CT; Sagittal slice 206/512; scan covers 13 annotated vertebrae
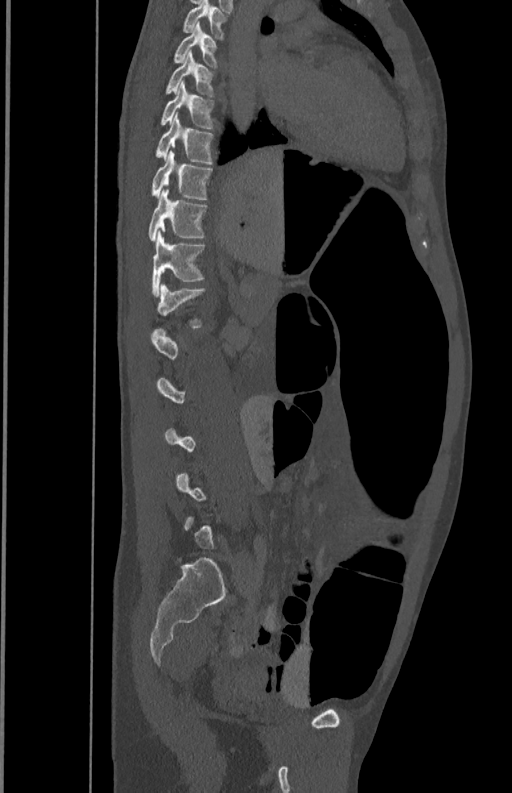 Box values are [left, top, right, bottom] in pixels.
A vertebra gets a box only on the slices from the first to the last where its cross-section is at least a third of its largest; on a slice outside that range it gets none.
{"vertebrae":{"T5":[181,1,227,38],"T6":[172,21,218,66],"T7":[165,51,215,95],"T8":[159,80,215,129],"T9":[155,113,214,164],"T10":[150,150,212,199],"T11":[148,188,208,241],"T12":[150,230,205,294],"L1":[150,283,205,336]}}